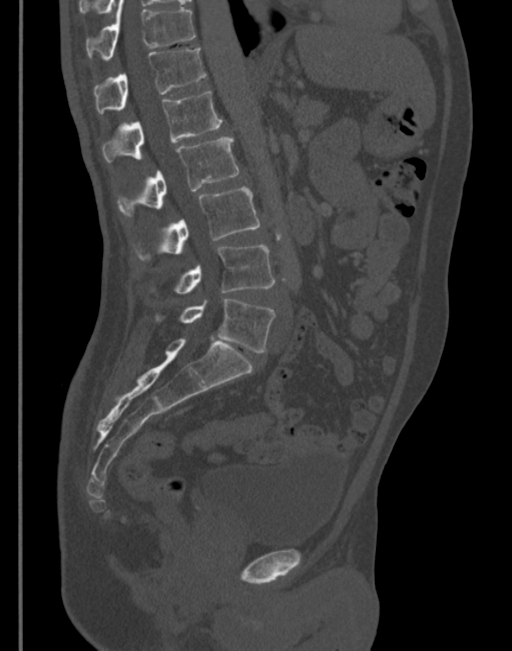 CT spine · sagittal reformat · the image spans 345 mm across · bone-window reconstruction
<vertebrae><v name="T11" x1="86" y1="0" x2="195" y2="60"/><v name="T12" x1="93" y1="49" x2="207" y2="113"/><v name="L1" x1="102" y1="91" x2="223" y2="162"/><v name="L2" x1="117" y1="138" x2="239" y2="216"/><v name="L3" x1="133" y1="186" x2="260" y2="261"/><v name="L4" x1="150" y1="245" x2="275" y2="295"/><v name="L5" x1="156" y1="299" x2="275" y2="352"/></vertebrae>